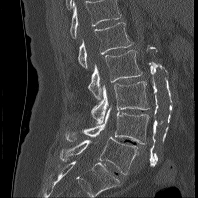
Computed tomography of the spine — sagittal view

Boxes: x1:y1:x2:y2 in pixels.
This scan's labels start at L1 at the top and end at L5 at the bottom.
L1: 77:22:132:69
L2: 87:50:142:99
L3: 90:81:149:123
L4: 65:105:149:144
L5: 60:137:138:174